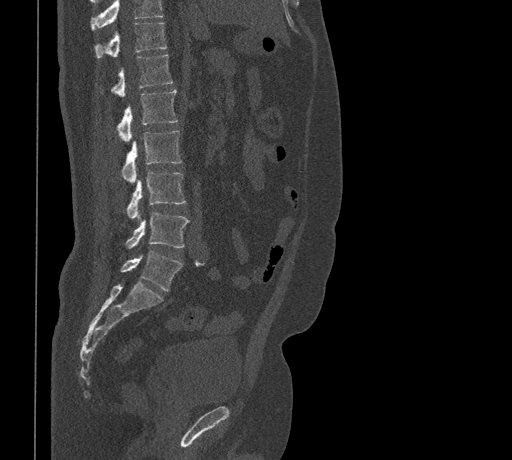
Computed tomography of the spine · sagittal view · image 461 mm wide · bone-window reconstruction
Boxes: x1:y1:x2:y2 in pixels. No box is given to a vertebra that the top edge of the scan cuts off. Vertebrae labeled: T11 at 95:22:166:58, T12 at 111:55:172:97, L1 at 118:90:177:143, L2 at 121:130:182:184, L3 at 127:172:185:219, L4 at 126:212:189:249, L5 at 120:251:182:290.